Spine CT · sagittal plane, index 158 · bone-window reconstruction · 18 vertebrae labeled in this scan
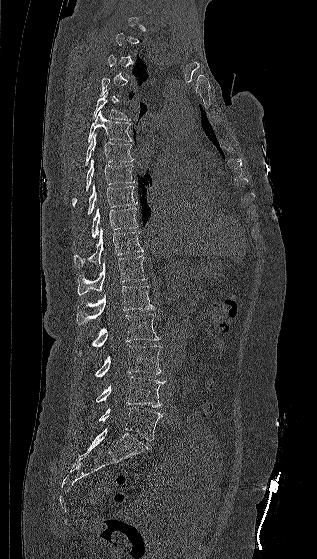 Boxes are given in columns x1, y1, x2, y2, the pixel coordinates of their top-left and bottom-right corners.
Each vertebra is boxed only on the slices from the first to the last where its cross-section reaches a third of its largest, so a slice outside that range leaves it unboxed.
| vertebra | x1 | y1 | x2 | y2 |
|---|---|---|---|---|
| T5 | 92 | 91 | 130 | 120 |
| T6 | 87 | 111 | 133 | 144 |
| T7 | 85 | 133 | 133 | 165 |
| T8 | 72 | 158 | 134 | 206 |
| T9 | 87 | 184 | 137 | 214 |
| T10 | 91 | 207 | 138 | 237 |
| T11 | 74 | 228 | 143 | 267 |
| T12 | 77 | 255 | 148 | 295 |
| L1 | 76 | 285 | 156 | 324 |
| L2 | 79 | 314 | 160 | 355 |
| L3 | 95 | 345 | 161 | 377 |
| L4 | 95 | 376 | 164 | 407 |
| L5 | 98 | 407 | 162 | 440 |